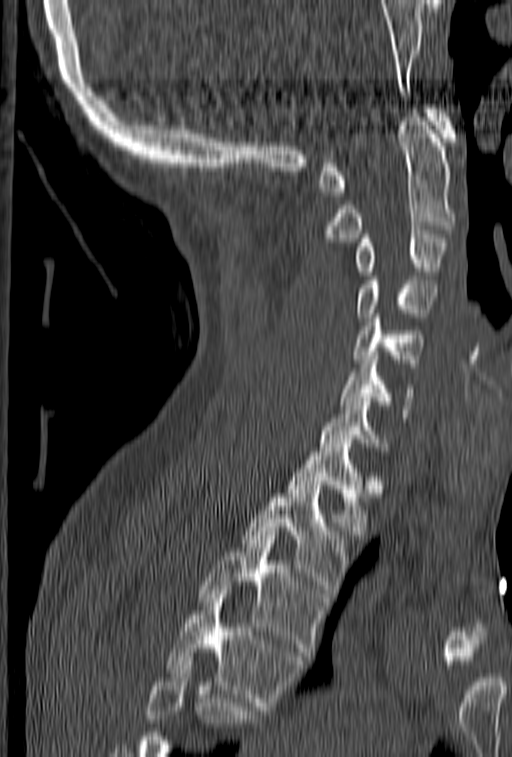 CT spine. sagittal view. image width 153 mm. 512x757 px
Coordinates as <box>x1,y1,x2,y2</box>. Vertebrae that run past the bottom of the scan are left unlabeled. The labeled vertebrae in this slice are: T4 at <box>166,590,304,714</box>, T3 at <box>198,531,328,660</box>, T2 at <box>242,485,349,597</box>, T1 at <box>286,443,368,530</box>, C7 at <box>319,389,388,451</box>, C6 at <box>339,356,414,417</box>, C5 at <box>353,310,424,367</box>, C4 at <box>356,264,435,317</box>, C3 at <box>355,230,449,275</box>, C2 at <box>318,109,456,242</box>, C1 at <box>319,105,456,196</box>.